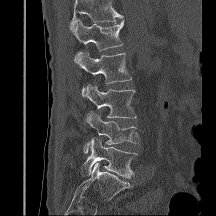

CT spine. sagittal reformat. bone-window reconstruction. 216 mm image width
Box values are [left, top, right, bottom] in pixels.
Where the top of the scan cuts through a vertebra, that vertebra gets no label or box.
{"vertebrae":{"L1":[73,19,123,60],"L2":[75,53,132,96],"L3":[87,84,136,118],"L4":[83,111,139,154],"L5":[81,137,137,178]}}